Computed tomography of the spine · sagittal plane, index 94 · Bone window (WL 400, WW 1800) · scan covers 5 annotated vertebrae
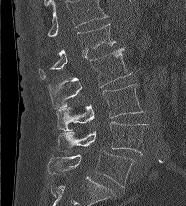 Each row gives a vertebra's box as x1, y1, x2, y2 in pixels: top-left corner, then bottom-right corner.
In this scan, the topmost labeled vertebra is L1 and the lowest is L5.
| vertebra | x1 | y1 | x2 | y2 |
|---|---|---|---|---|
| L1 | 39 | 23 | 115 | 79 |
| L2 | 48 | 48 | 131 | 109 |
| L3 | 57 | 84 | 143 | 130 |
| L4 | 57 | 121 | 149 | 154 |
| L5 | 48 | 150 | 134 | 187 |